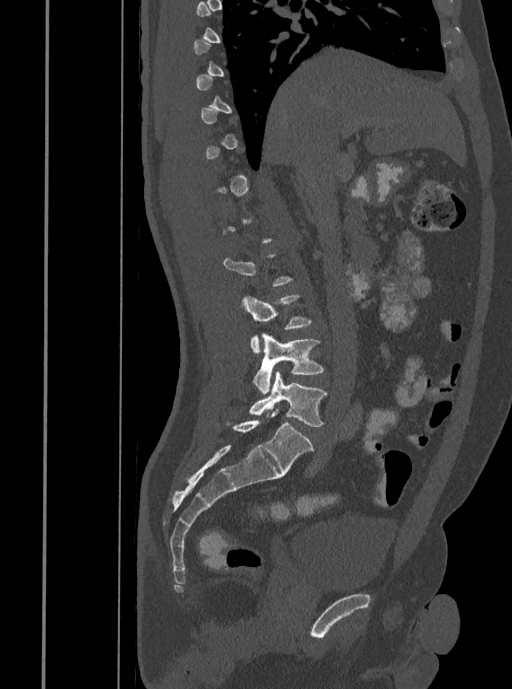 Computed tomography of the spine · sagittal view · 512x689 px
Box values are [left, top, right, bottom] in pixels.
A vertebra is boxed only from the first to the last slice where its cross-section is at least a third of its largest; slices outside that range leave it without a box.
{"vertebrae":{"L3":[242,295,313,353],"L4":[253,333,324,393],"L5":[248,372,328,427]}}